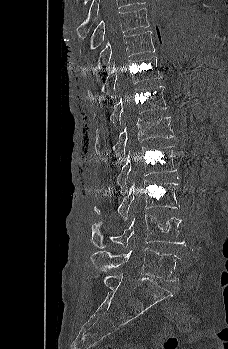

Spine CT; sagittal view; Bone window (WL 400, WW 1800); 228x349 px
Bounding boxes as [x1, y1, x2, y2] in pixel coordinates.
T9: [90, 7, 149, 49]
T10: [98, 30, 155, 68]
T11: [87, 57, 162, 101]
T12: [93, 85, 168, 129]
L1: [95, 116, 174, 157]
L2: [116, 145, 177, 188]
L3: [94, 179, 181, 221]
L4: [91, 214, 185, 248]
L5: [90, 247, 180, 281]